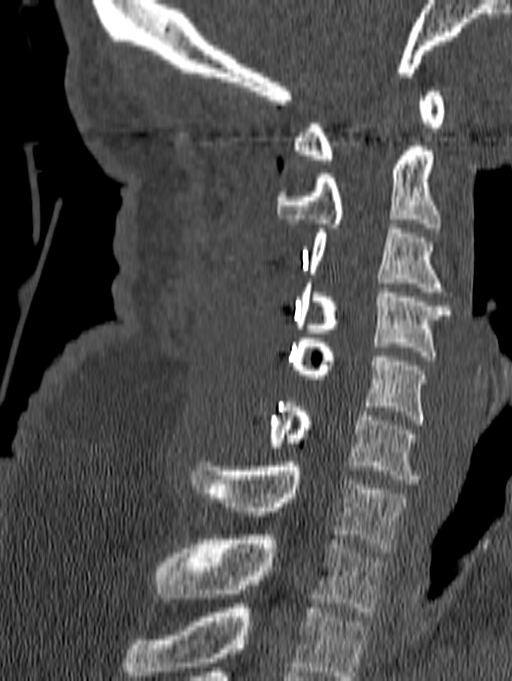

Computed tomography of the spine — 140 mm image width — sagittal view — 512x681 px
Box values are [left, top, right, bottom] in pixels.
This scan's labels start at C1 at the top and end at T1 at the bottom.
{"vertebrae":{"C1":[292,91,444,164],"C2":[276,142,441,232],"C3":[309,224,443,292],"C4":[296,283,450,360],"C5":[290,338,426,424],"C6":[268,402,419,484],"C7":[192,462,406,552],"T1":[155,535,385,616]}}